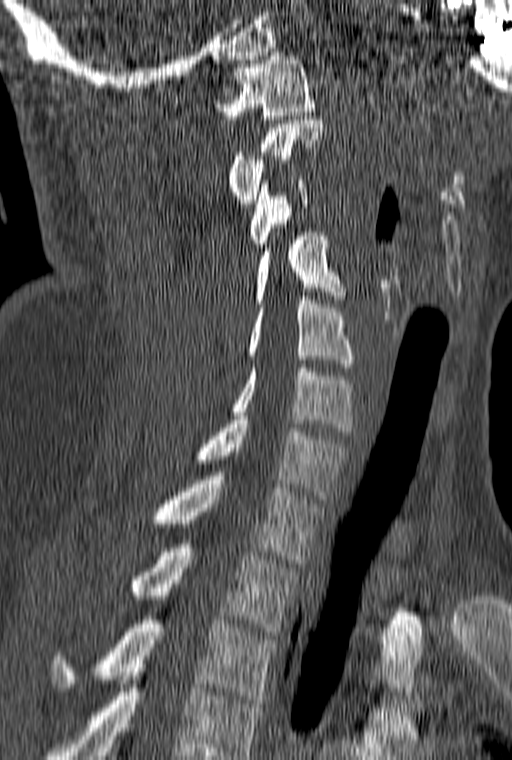
Computed tomography of the spine; sagittal view; 160 mm across the image

Boxes: x1 y1 x2 y2 (pixel coords, space-separated). Labels in this scan begin with C1 at the top and end with T3 at the bottom. 10 vertebrae labeled — C1 at 216 52 314 119; C2 at 228 120 324 207; C3 at 249 180 309 251; C4 at 254 228 343 307; C5 at 248 292 353 367; C6 at 232 364 355 435; C7 at 196 420 349 499; T1 at 155 472 323 563; T2 at 132 544 298 635; T3 at 52 620 279 703.